CT spine — Sagittal slice 364/768
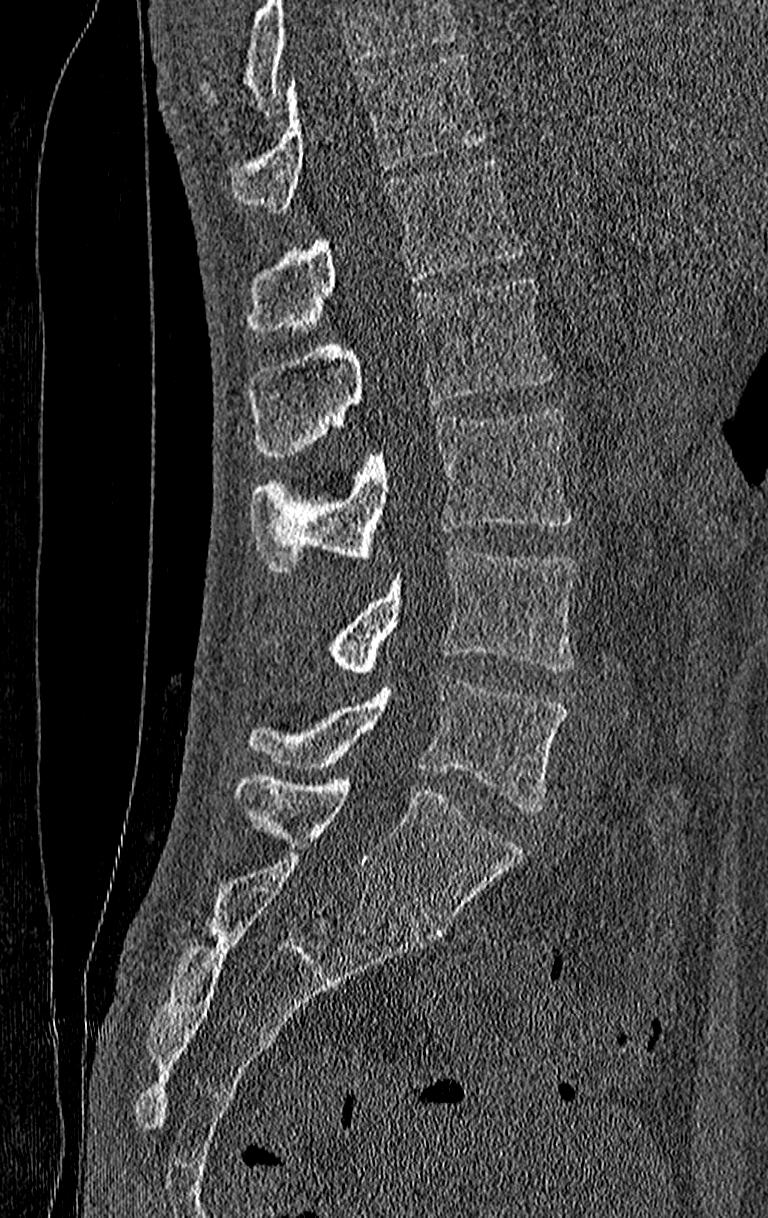

Each box is [x1, y1, x2, y2] in pixels: top-left corner, then bottom-right corner.
No box is given to a vertebra that the top edge of the scan cuts off.
The highest labeled vertebra in this scan is T11; the lowest is L4.
{"vertebrae":{"T11":[229,53,488,211],"T12":[247,158,524,333],"L1":[247,278,554,457],"L2":[251,410,575,570],"L3":[331,546,579,677],"L4":[247,673,568,812]}}